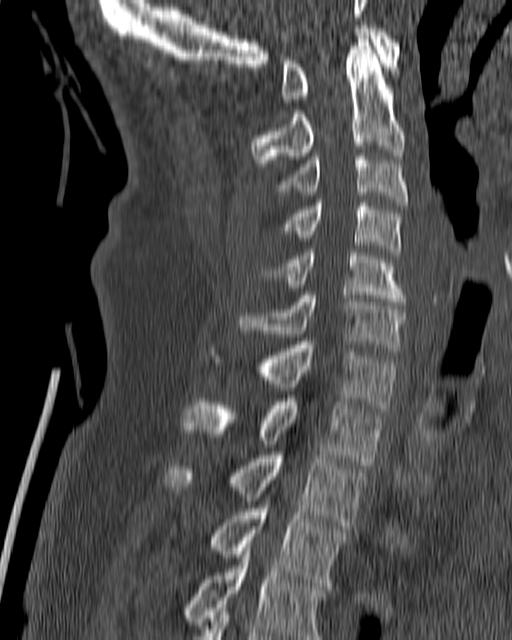
Computed tomography of the spine; sagittal view

Bounding boxes as [x1, y1, x2, y2] in pixel coordinates.
T4: [183, 544, 324, 639]
T3: [209, 501, 347, 586]
T2: [165, 452, 367, 525]
T1: [183, 398, 384, 465]
C7: [212, 341, 398, 411]
C6: [237, 292, 407, 351]
C5: [268, 249, 406, 305]
C4: [281, 203, 401, 255]
C3: [274, 153, 408, 205]
C2: [251, 36, 405, 166]
C1: [281, 25, 400, 102]